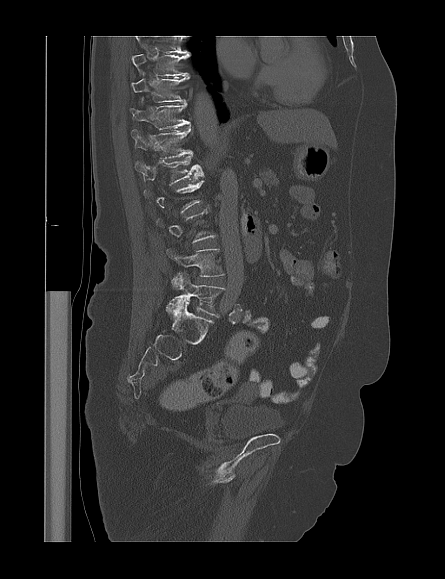 CT spine. sagittal view. Bone window (WL 400, WW 1800)
Each vertebra maps to its box as [x1, y1, x2, y2], the pixel coordinates of its top-left and bottom-right corners.
Not every vertebra on this slice has a box: a vertebra is boxed only from the first to the last slice where its cross-section is at least a third of its largest, and this slice is outside that range for at least one of them.
Labels in this scan begin with T9 at the top and end with L5 at the bottom.
{"vertebrae":{"L5":[165,272,224,317],"L4":[170,248,225,276],"L1":[135,156,204,184],"T12":[131,126,193,159],"T11":[130,102,190,129],"T10":[131,77,189,102],"T9":[131,54,189,77]}}